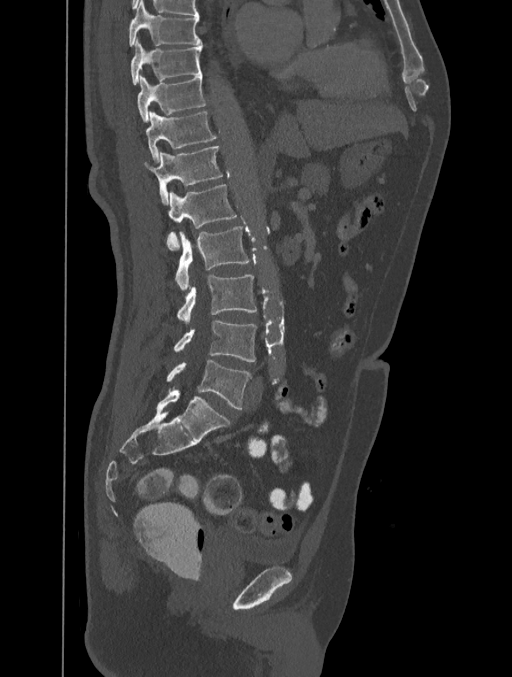 Spine CT. sagittal view. bone-window reconstruction. 512x677 px
Each vertebra maps to its box as [x1, y1, x2, y2], the pixel coordinates of its top-left and bottom-right corners.
{"vertebrae":{"L5":[167,360,250,409],"L4":[174,321,257,362],"L3":[177,275,257,323],"L2":[175,226,249,290],"L1":[167,184,238,250],"T12":[143,146,222,204],"T11":[145,111,216,162],"T10":[138,75,206,122],"T9":[130,38,202,85],"T8":[129,1,201,46]}}